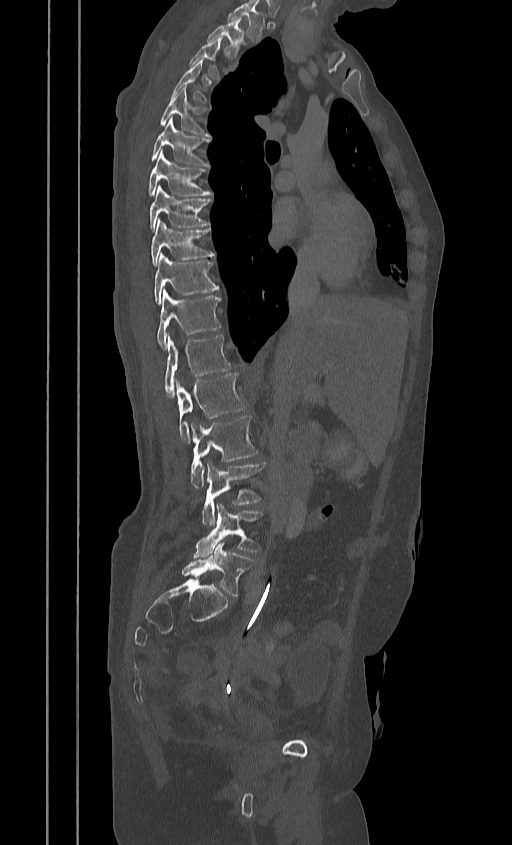

Computed tomography of the spine · sagittal view · bone window
Bounding boxes as [x1, y1, x2, y2] in pixel coordinates.
This scan's labels start at T2 at the top and end at L5 at the bottom.
L5: [181, 543, 255, 596]
L4: [193, 504, 264, 558]
L3: [201, 461, 265, 526]
L2: [190, 415, 259, 487]
L1: [176, 373, 247, 442]
T12: [164, 335, 231, 396]
T11: [156, 291, 220, 350]
T10: [153, 253, 219, 304]
T9: [150, 220, 215, 266]
T8: [149, 187, 211, 231]
T7: [148, 152, 212, 195]
T6: [149, 116, 211, 166]
T5: [158, 88, 209, 135]
T4: [172, 60, 209, 106]
T3: [189, 37, 222, 79]
T2: [206, 17, 245, 58]